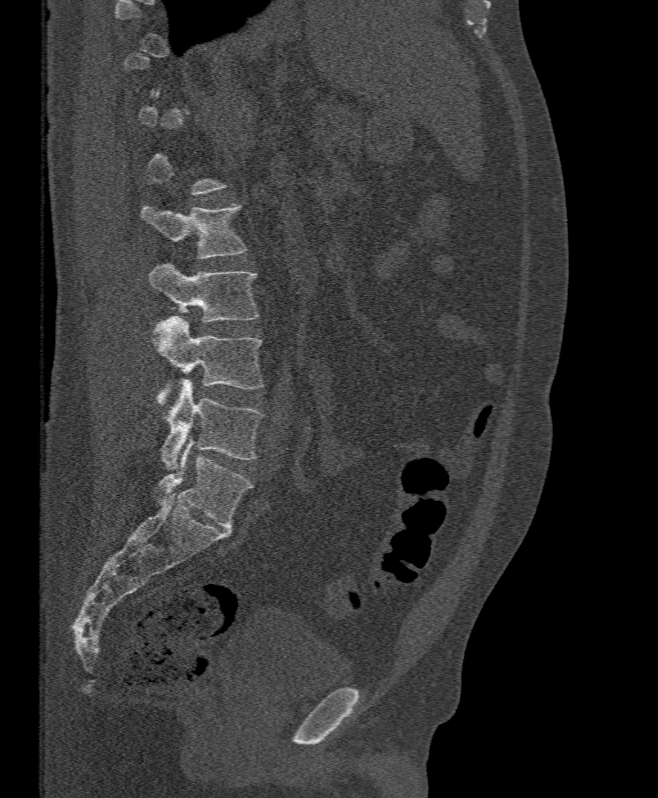

Spine computed tomography. sagittal view. 658x798 px

A vertebra is boxed only from the first to the last slice where its cross-section is at least a third of its largest; slices outside that range leave it without a box.
<vertebrae><v name="L2" x1="141" y1="203" x2="247" y2="259"/><v name="L3" x1="148" y1="262" x2="259" y2="322"/><v name="L4" x1="152" y1="316" x2="264" y2="407"/><v name="L5" x1="162" y1="378" x2="264" y2="469"/></vertebrae>